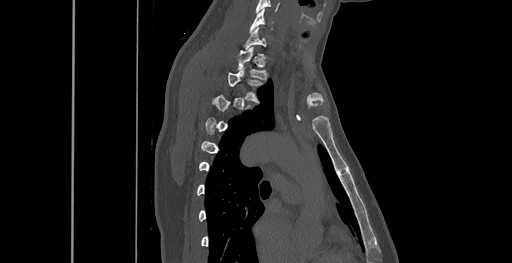 CT · sagittal reformat · image width 461 mm · bone-window reconstruction · 512x263 px

Each vertebra is boxed only on the slices from the first to the last where its cross-section reaches a third of its largest, so a slice outside that range leaves it unboxed.
<vertebrae><v name="C6" x1="250" y1="9" x2="272" y2="32"/><v name="T1" x1="237" y1="47" x2="268" y2="79"/><v name="T2" x1="228" y1="67" x2="263" y2="102"/></vertebrae>